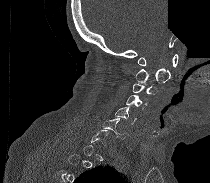 CT; sagittal view; a region of this slice is masked with a uniform fill
Each vertebra is boxed only on the slices from the first to the last where its cross-section reaches a third of its largest, so a slice outside that range leaves it unboxed.
<vertebrae><v name="C1" x1="138" y1="54" x2="178" y2="67"/><v name="C2" x1="135" y1="68" x2="170" y2="84"/><v name="C3" x1="132" y1="83" x2="158" y2="94"/><v name="C4" x1="126" y1="95" x2="148" y2="109"/><v name="C5" x1="114" y1="107" x2="136" y2="124"/><v name="C6" x1="101" y1="118" x2="127" y2="139"/></vertebrae>